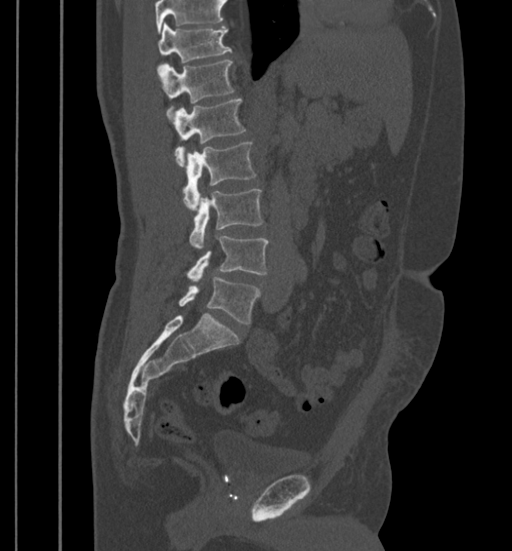

Computed tomography of the spine. sagittal view. bone window. 512x551 px
A vertebra cut off by the top edge of the scan is not labeled and has no box.
<vertebrae><v name="T11" x1="158" y1="24" x2="231" y2="70"/><v name="T12" x1="159" y1="60" x2="234" y2="114"/><v name="L1" x1="173" y1="99" x2="245" y2="165"/><v name="L2" x1="183" y1="142" x2="255" y2="210"/><v name="L3" x1="190" y1="188" x2="263" y2="247"/><v name="L4" x1="187" y1="236" x2="268" y2="281"/><v name="L5" x1="178" y1="277" x2="259" y2="323"/></vertebrae>